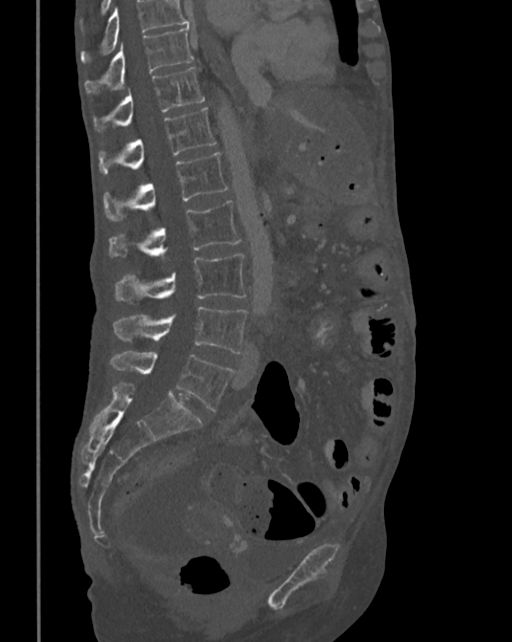

CT; sagittal view; W/L 1800/400 HU; 512x642 px
Box edges are left/top/right/bottom in pixels.
Where the top of the scan cuts through a vertebra, that vertebra gets no label or box.
Vertebra bounding boxes:
- T10: left=85, top=25, right=193, bottom=93
- T11: left=93, top=66, right=205, bottom=131
- T12: left=99, top=108, right=216, bottom=175
- L1: left=103, top=152, right=228, bottom=219
- L2: left=109, top=201, right=241, bottom=257
- L3: left=115, top=254, right=246, bottom=303
- L4: left=114, top=307, right=247, bottom=353
- L5: left=111, top=351, right=232, bottom=411